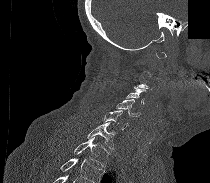

CT, spine. sagittal view. bone window. a region is blanked to uniform black, ending in a straight edge
Boxes are given in columns x1, y1, x2, y2, the pixel coordinates of their top-left and bottom-right corners.
Each vertebra is boxed only on the slices from the first to the last where its cross-section reaches a third of its largest, so a slice outside that range leaves it unboxed.
Vertebrae that run past the bottom of the scan are left unlabeled.
| vertebra | x1 | y1 | x2 | y2 |
|---|---|---|---|---|
| T1 | 74 | 137 | 110 | 167 |
| C7 | 87 | 122 | 115 | 149 |
| C6 | 104 | 110 | 128 | 129 |
| C5 | 116 | 99 | 140 | 116 |
| C4 | 126 | 86 | 145 | 104 |
| C3 | 137 | 71 | 152 | 89 |